Computed tomography of the spine; sagittal plane, index 162; Bone window (WL 400, WW 1800); 357x619 px
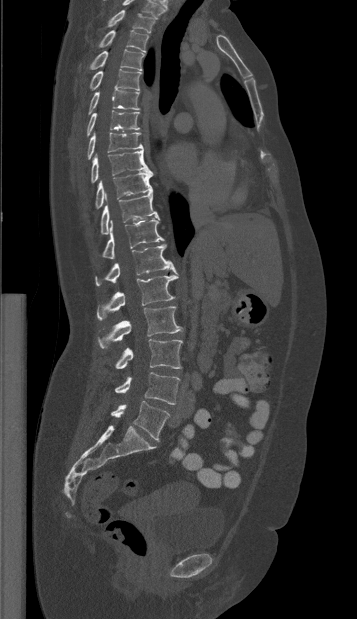 Coordinates as <box>x1,y1,x2,y2</box>.
In this scan, the topmost labeled vertebra is T1 and the lowest is L5.
T1: <box>107,10,155,33</box>
T2: <box>98,29,148,52</box>
T3: <box>79,49,143,71</box>
T4: <box>89,69,140,91</box>
T5: <box>88,89,139,114</box>
T6: <box>86,110,139,137</box>
T7: <box>87,132,143,159</box>
T8: <box>91,150,150,183</box>
T9: <box>95,172,152,208</box>
T10: <box>100,190,159,234</box>
T11: <box>93,220,163,261</box>
T12: <box>95,244,177,285</box>
L1: <box>96,275,177,319</box>
L2: <box>98,306,181,348</box>
L3: <box>115,339,182,368</box>
L4: <box>115,372,180,404</box>
L5: <box>111,401,169,440</box>